CT spine; sagittal view; 5 vertebrae labeled in this scan; the image spans 232 mm across
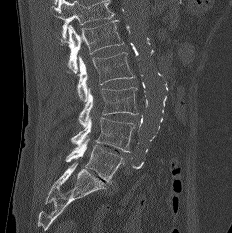

Bounding boxes as [x1, y1, x2, y2] in pixel coordinates. Vertebrae that run past the top of the scan are left unlabeled. Vertebrae labeled: L1 at [61, 20, 123, 73], L2 at [77, 52, 134, 101], L3 at [79, 87, 138, 127], L4 at [71, 117, 135, 153], L5 at [66, 139, 124, 184].